Spine computed tomography · sagittal plane, index 176
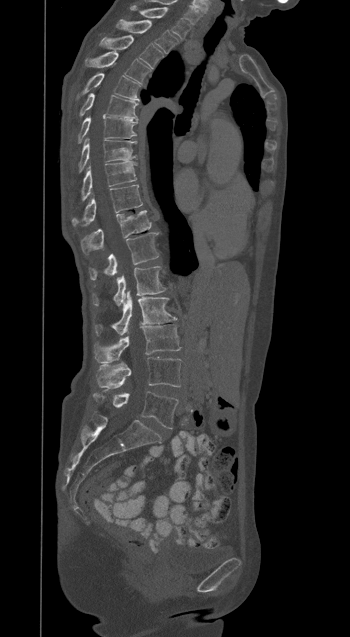

Boxes below are [x1, y1, x2, y2] in pixels.
{"vertebrae":{"T1":[131,6,190,39],"T2":[117,20,178,53],"T3":[102,35,163,68],"T4":[85,53,150,82],"T5":[77,73,139,100],"T6":[80,93,137,120],"T7":[78,116,137,142],"T8":[78,139,136,172],"T9":[81,161,136,200],"T10":[72,185,142,226],"T11":[80,210,151,254],"T12":[89,232,159,279],"L1":[92,266,166,306],"L2":[94,291,176,335],"L3":[94,325,180,363],"L4":[96,357,181,387],"L5":[93,391,178,428]}}